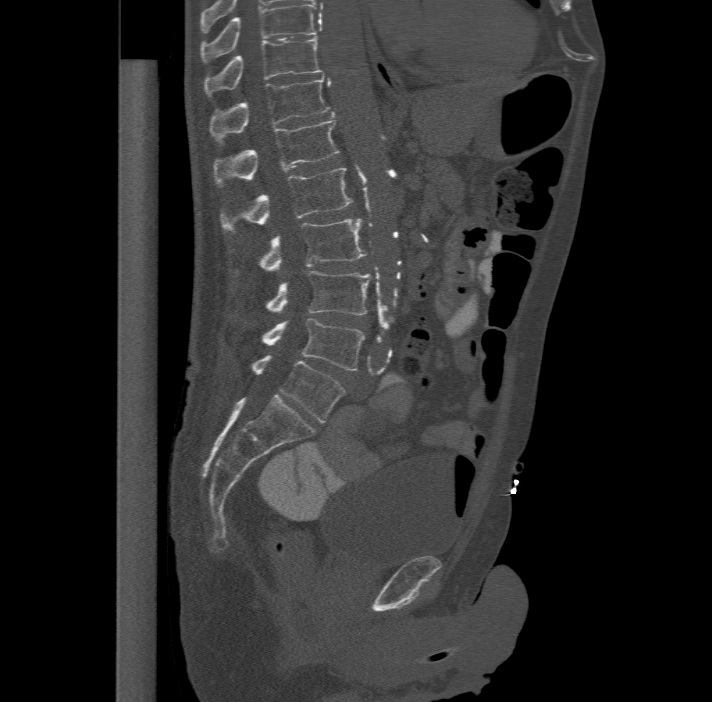

Spine CT; sagittal view; Bone window (WL 400, WW 1800); the image spans 477 mm across
Boxes below are [x1, y1, x2, y2] in pixels.
In this scan, the topmost labeled vertebra is T11 and the lowest is L6.
In these labels the spine has an L6, a sixth lumbar vertebra below L5.
{"vertebrae":{"T11":[204,37,323,96],"T12":[209,74,330,139],"L1":[213,118,340,185],"L2":[220,167,352,232],"L3":[259,218,366,269],"L4":[266,270,370,314],"L5":[261,318,365,370],"L6":[250,356,345,422]}}